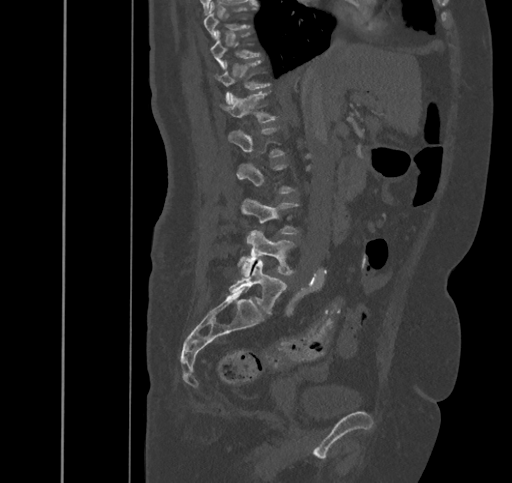

Spine CT — sagittal view — 512x483 px. Coordinates as <box>x1,y1,x2,y2</box>. A vertebra gets a box only on the slices from the first to the last where its cross-section is at least a third of its largest; on a slice outside that range it gets none. The labeled vertebrae in this slice are: T9 at <box>204,2,255,38</box>, T10 at <box>210,30,260,68</box>, T11 at <box>215,60,270,104</box>, T12 at <box>219,91,277,122</box>, L3 at <box>241,199,298,234</box>, L4 at <box>241,231,295,277</box>, L5 at <box>229,257,287,314</box>.